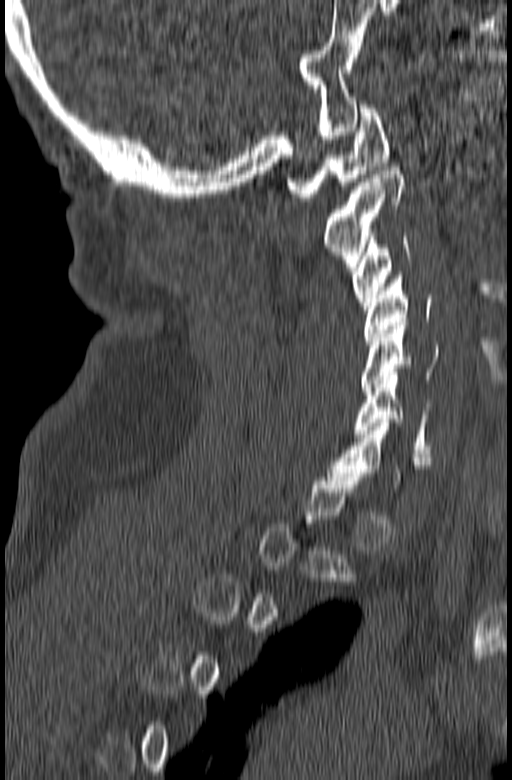 Spine CT; sagittal view; Bone window (WL 400, WW 1800); image 165 mm wide
Each box given as x1,y1,x2,y2. Not every vertebra on this slice has a box: a vertebra is boxed only from the first to the last slice where its cross-section is at least a third of its largest, and this slice is outside that range for at least one of them. Vertebrae labeled: C1 at x1=287, y1=105, x2=388, y2=201, C2 at x1=324, y1=167, x2=404, y2=271, C3 at x1=352, y1=233, x2=410, y2=313, C4 at x1=364, y1=272, x2=431, y2=344, C5 at x1=361, y1=322, x2=441, y2=391, C6 at x1=355, y1=376, x2=431, y2=453.